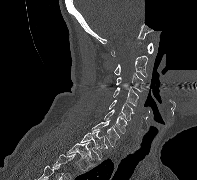
CT spine; sagittal view; 197x180 px; part of the scan has been removed (filled with constant black)
Bounding boxes as [x1, y1, x2, y2] in pixel coordinates. The labeled vertebrae in this slice are: C1 at [111, 42, 153, 56], C2 at [114, 55, 147, 77], C3 at [116, 73, 143, 92], C4 at [113, 86, 138, 106], C5 at [109, 100, 134, 120], C6 at [104, 109, 127, 133], C7 at [92, 120, 119, 146], T1 at [80, 129, 107, 159], T2 at [66, 142, 95, 170].